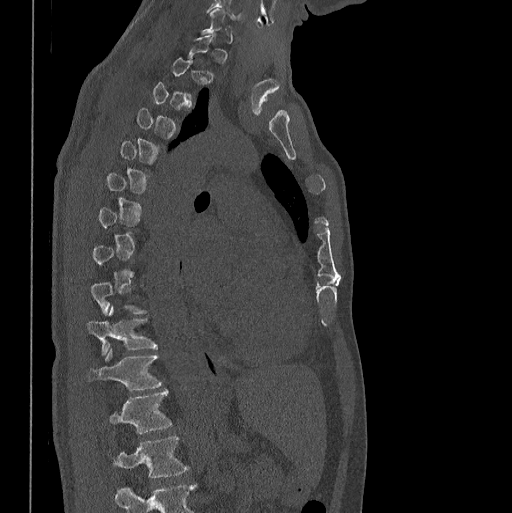 Computed tomography of the spine · sagittal view · Bone window (WL 400, WW 1800) · 398 mm image width · 512x513 px
Box values are [left, top, right, bottom] in pixels.
A vertebra gets a box only on the slices from the first to the last where its cross-section is at least a third of its largest; on a slice outside that range it gets none.
This scan's labels start at C7 at the top and end at L1 at the bottom.
{"vertebrae":{"T10":[87,306,158,354],"T11":[89,348,162,389],"T12":[108,389,171,433],"L1":[105,435,189,477]}}